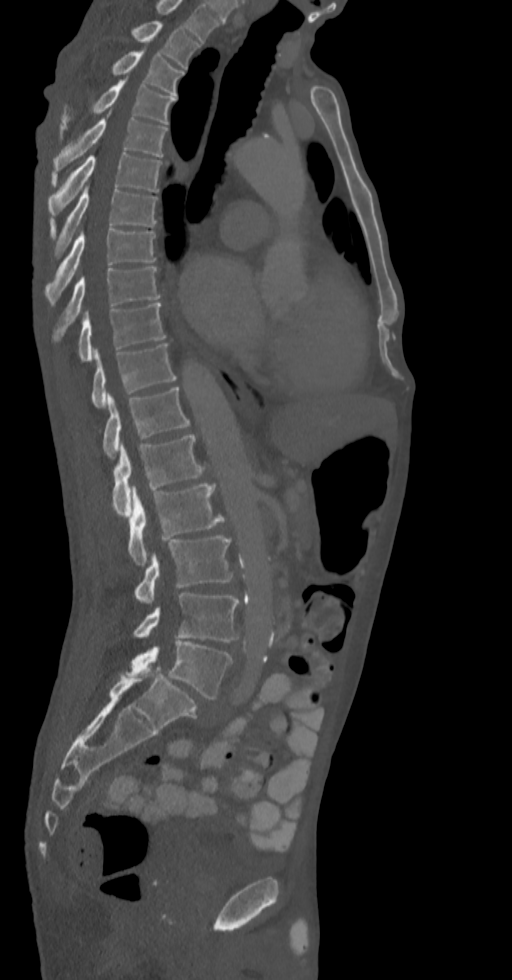 CT; sagittal reformat

This scan's labels start at T2 at the top and end at L5 at the bottom.
<vertebrae><v name="T2" x1="132" y1="21" x2="200" y2="69"/><v name="T3" x1="112" y1="47" x2="183" y2="95"/><v name="T4" x1="61" y1="78" x2="175" y2="138"/><v name="T5" x1="52" y1="111" x2="166" y2="173"/><v name="T6" x1="48" y1="152" x2="162" y2="217"/><v name="T7" x1="50" y1="186" x2="157" y2="258"/><v name="T8" x1="45" y1="229" x2="156" y2="304"/><v name="T9" x1="52" y1="267" x2="160" y2="342"/><v name="T10" x1="77" y1="302" x2="166" y2="362"/><v name="T11" x1="91" y1="343" x2="177" y2="407"/><v name="T12" x1="102" y1="387" x2="189" y2="458"/><v name="L1" x1="112" y1="434" x2="209" y2="517"/><v name="L2" x1="128" y1="483" x2="224" y2="564"/><v name="L3" x1="134" y1="535" x2="232" y2="602"/><v name="L4" x1="132" y1="593" x2="239" y2="642"/><v name="L5" x1="125" y1="640" x2="232" y2="698"/></vertebrae>